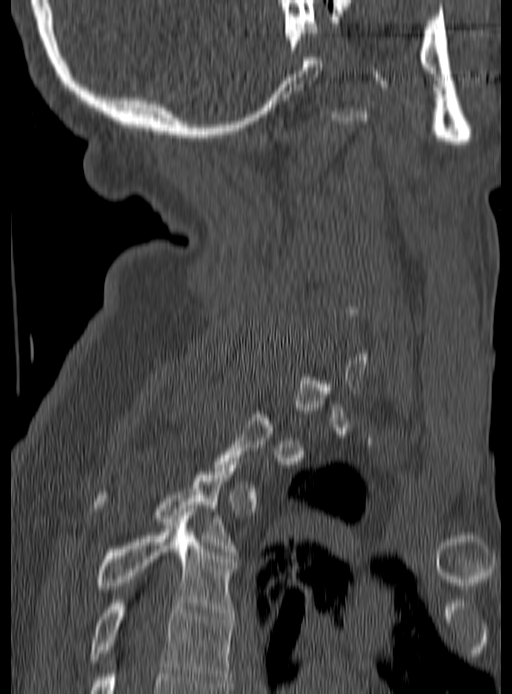 CT, spine; sagittal reformat; 512x694 px

A vertebra gets a box only on the slices from the first to the last where its cross-section is at least a third of its largest; on a slice outside that range it gets none.
<vertebrae><v name="T5" x1="90" y1="600" x2="234" y2="683"/><v name="T4" x1="95" y1="515" x2="234" y2="615"/><v name="T3" x1="95" y1="465" x2="234" y2="551"/></vertebrae>